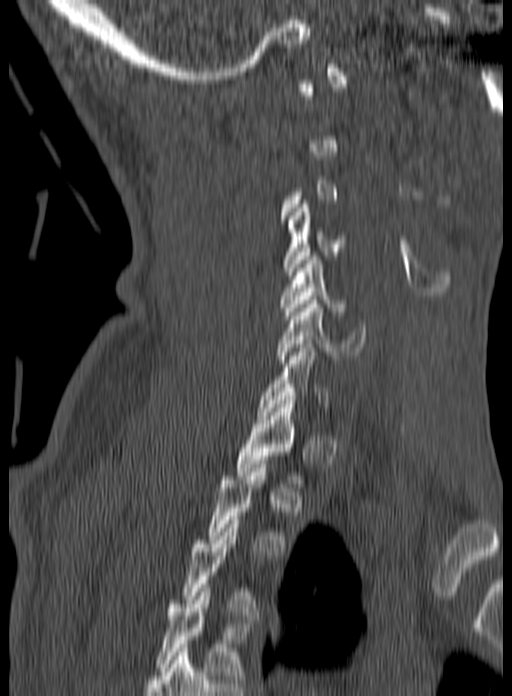
CT; sagittal view
Not every vertebra on this slice has a box: a vertebra is boxed only from the first to the last slice where its cross-section is at least a third of its largest, and this slice is outside that range for at least one of them.
In this scan, the topmost labeled vertebra is C1 and the lowest is T3.
<vertebrae><v name="C4" x1="283" y1="204" x2="346" y2="279"/><v name="C5" x1="280" y1="256" x2="346" y2="315"/><v name="C6" x1="276" y1="300" x2="367" y2="363"/><v name="T1" x1="235" y1="400" x2="302" y2="487"/><v name="T2" x1="206" y1="464" x2="286" y2="555"/><v name="T3" x1="184" y1="516" x2="259" y2="619"/></vertebrae>